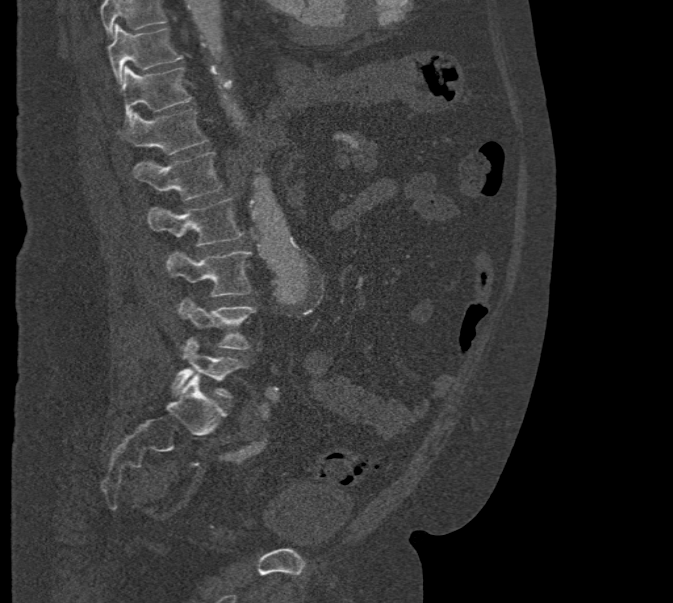 CT — sagittal reformat — W/L 1800/400 HU
Each box given as x1,y1,x2,y2.
Vertebrae that run past the top of the scan are left unlabeled.
| vertebra | x1 | y1 | x2 | y2 |
|---|---|---|---|---|
| T10 | 109 | 25 | 183 | 84 |
| T11 | 121 | 66 | 192 | 122 |
| T12 | 118 | 109 | 208 | 155 |
| L1 | 133 | 150 | 224 | 201 |
| L2 | 147 | 198 | 243 | 247 |
| L3 | 166 | 250 | 251 | 297 |
| L4 | 177 | 296 | 257 | 349 |
| L5 | 171 | 338 | 247 | 398 |